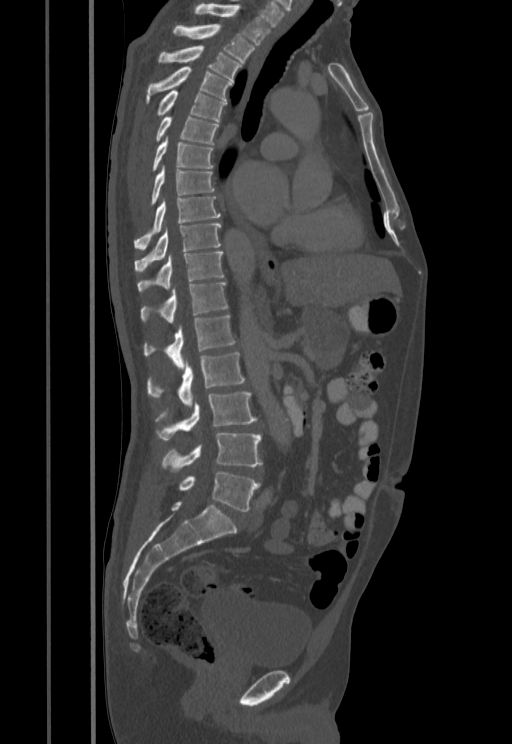

CT, spine. sagittal view
Box values are [left, top, right, bottom] in pixels.
{"vertebrae":{"T1":[193,4,270,44],"T2":[173,24,254,62],"T3":[159,46,241,81],"T4":[146,66,233,102],"T5":[156,90,226,121],"T6":[155,117,218,144],"T7":[152,138,213,171],"T8":[151,166,214,206],"T9":[134,196,221,249],"T10":[135,224,221,272],"T11":[137,252,224,292],"T12":[141,281,227,323],"L1":[143,314,234,369],"L2":[147,352,244,406],"L3":[155,392,257,441],"L4":[162,432,262,472],"L5":[179,471,260,511]}}